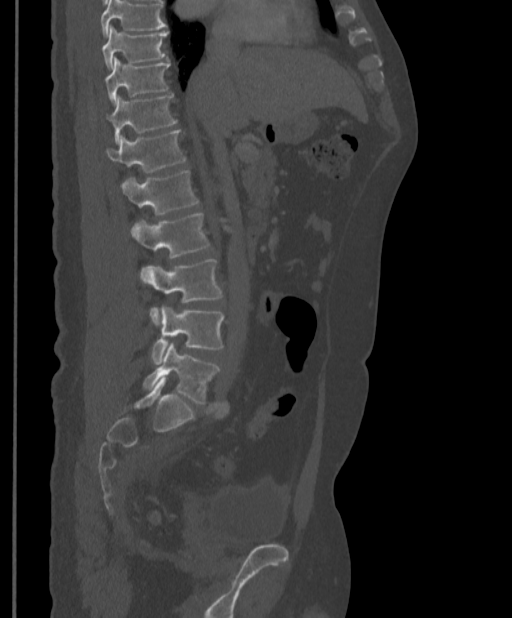 Spine computed tomography · sagittal view
No box is given to a vertebra that the top edge of the scan cuts off.
<vertebrae><v name="T9" x1="102" y1="26" x2="168" y2="69"/><v name="T10" x1="104" y1="58" x2="169" y2="102"/><v name="T11" x1="107" y1="95" x2="177" y2="143"/><v name="T12" x1="107" y1="130" x2="186" y2="172"/><v name="L1" x1="121" y1="170" x2="199" y2="214"/><v name="L2" x1="131" y1="213" x2="210" y2="258"/><v name="L3" x1="140" y1="259" x2="222" y2="324"/><v name="L4" x1="151" y1="306" x2="223" y2="364"/><v name="L5" x1="143" y1="343" x2="219" y2="404"/></vertebrae>